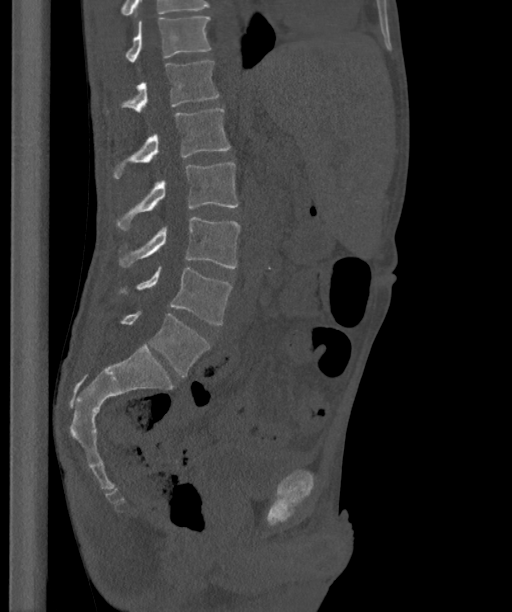

Computed tomography of the spine. sagittal view

Boxes are given in columns x1, y1, x2, y2, the pixel coordinates of their top-left and bottom-right corners.
In this scan, the topmost labeled vertebra is T12 and the lowest is L6.
In these labels the spine has an L6, a sixth lumbar vertebra below L5.
| vertebra | x1 | y1 | x2 | y2 |
|---|---|---|---|---|
| L6 | 119 | 311 | 209 | 377 |
| L5 | 117 | 267 | 232 | 324 |
| L4 | 120 | 217 | 240 | 268 |
| L3 | 117 | 162 | 237 | 230 |
| L2 | 113 | 108 | 230 | 178 |
| L1 | 123 | 61 | 219 | 112 |
| T12 | 125 | 17 | 210 | 62 |